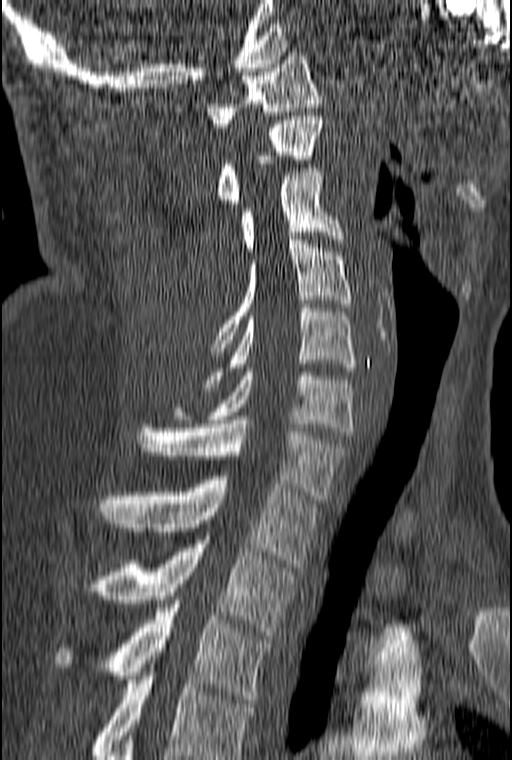
Computed tomography of the spine. sagittal view
In this scan, the topmost labeled vertebra is C1 and the lowest is T3.
<vertebrae><v name="C1" x1="207" y1="52" x2="322" y2="127"/><v name="C2" x1="218" y1="116" x2="322" y2="207"/><v name="C3" x1="239" y1="168" x2="345" y2="255"/><v name="C4" x1="210" y1="236" x2="352" y2="355"/><v name="C5" x1="202" y1="304" x2="356" y2="387"/><v name="C6" x1="172" y1="368" x2="353" y2="435"/><v name="C7" x1="136" y1="420" x2="346" y2="503"/><v name="T1" x1="97" y1="476" x2="317" y2="567"/><v name="T2" x1="88" y1="540" x2="295" y2="635"/><v name="T3" x1="52" y1="604" x2="272" y2="703"/></vertebrae>